Computed tomography of the spine — sagittal view — bone-window reconstruction — 382x541 px — scan covers 20 annotated vertebrae
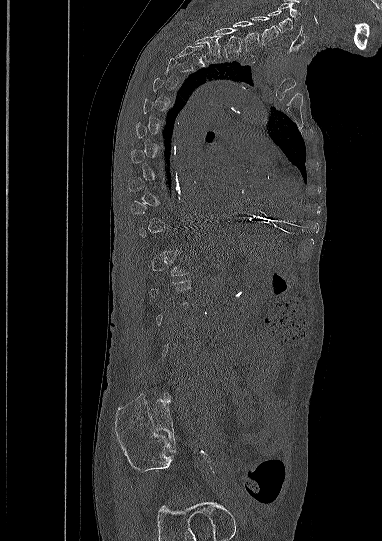 Each vertebra maps to its box as [x1, y1, x2, y2], the pixel coordinates of its top-left and bottom-right corners.
Not every vertebra on this slice has a box: a vertebra is boxed only from the first to the last slice where its cross-section is at least a third of its largest, and this slice is outside that range for at least one of them.
{"vertebrae":{"T2":[195,36,221,60],"T1":[212,27,243,57],"C7":[233,21,260,50],"C6":[251,16,277,45],"C5":[267,9,292,32]}}